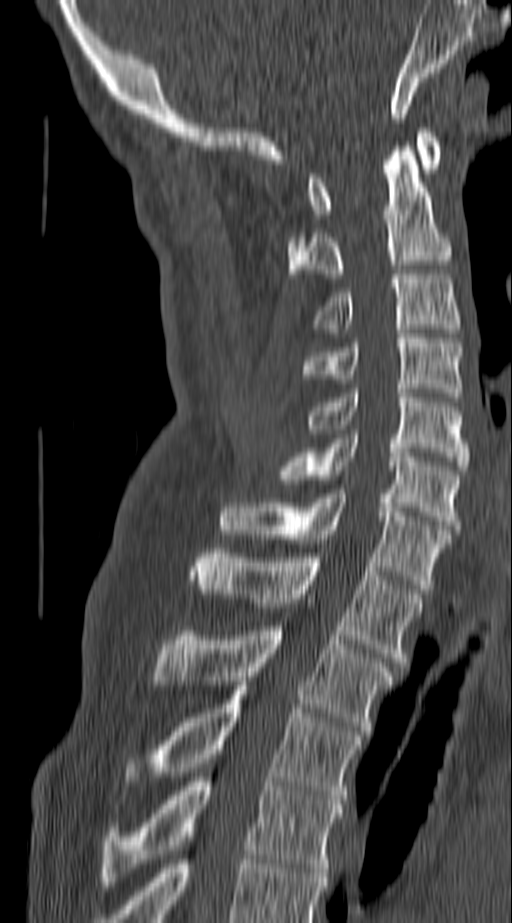

CT; 140 mm across the image; sagittal view; 512x923 px

Boxes: x1:y1:x2:y2 in pixels.
Vertebra bounding boxes:
- T4: 100:777:344:886
- T3: 126:686:362:804
- T2: 151:626:392:730
- T1: 192:549:421:666
- C7: 221:494:450:589
- C6: 275:434:461:529
- C5: 305:389:468:470
- C4: 301:334:461:397
- C3: 312:274:461:328
- C2: 287:142:450:278
- C1: 309:128:439:218